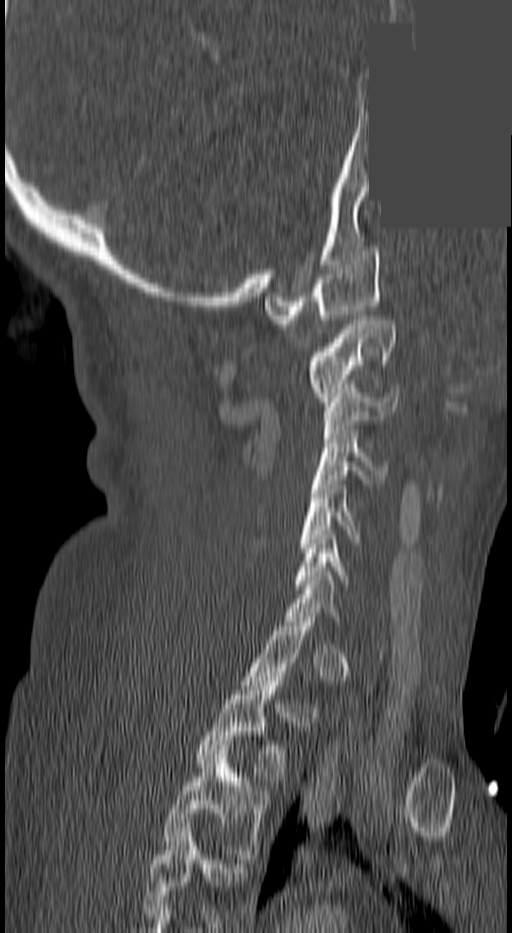

Spine CT; sagittal view; a uniform gray block covers part of the image. Boxes are given in columns x1, y1, x2, y2, the pixel coordinates of their top-left and bottom-right corners.
A vertebra is boxed only from the first to the last slice where its cross-section is at least a third of its largest; slices outside that range leave it without a box.
The highest labeled vertebra in this scan is C1; the lowest is T3.
| vertebra | x1 | y1 | x2 | y2 |
|---|---|---|---|---|
| C1 | 264 | 247 | 381 | 324 |
| C2 | 305 | 315 | 395 | 401 |
| C3 | 324 | 389 | 399 | 438 |
| C4 | 312 | 434 | 384 | 488 |
| C5 | 296 | 485 | 359 | 552 |
| C6 | 294 | 535 | 348 | 589 |
| T2 | 195 | 677 | 286 | 785 |
| T3 | 162 | 745 | 271 | 858 |